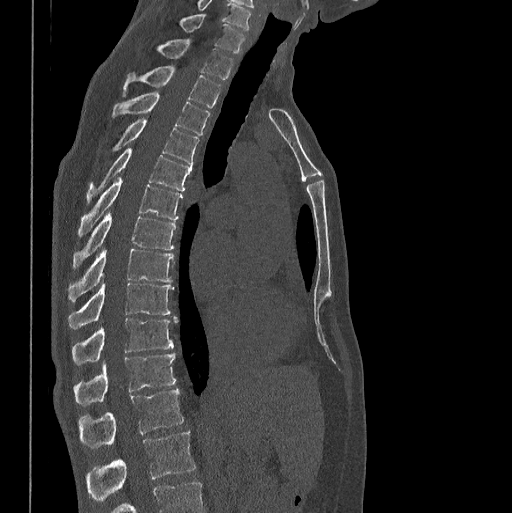
Computed tomography of the spine · sagittal view

The highest labeled vertebra in this scan is C7; the lowest is L1.
<vertebrae><v name="L1" x1="86" y1="432" x2="196" y2="500"/><v name="T12" x1="78" y1="388" x2="183" y2="447"/><v name="T11" x1="73" y1="353" x2="175" y2="405"/><v name="T10" x1="72" y1="318" x2="174" y2="364"/><v name="T9" x1="68" y1="280" x2="173" y2="329"/><v name="T8" x1="68" y1="247" x2="173" y2="301"/><v name="T7" x1="73" y1="212" x2="175" y2="268"/><v name="T6" x1="78" y1="176" x2="182" y2="235"/><v name="T5" x1="86" y1="147" x2="192" y2="202"/><v name="T4" x1="114" y1="118" x2="198" y2="165"/><v name="T3" x1="113" y1="93" x2="210" y2="134"/><v name="T2" x1="123" y1="65" x2="220" y2="108"/><v name="T1" x1="158" y1="39" x2="233" y2="80"/><v name="C7" x1="180" y1="14" x2="243" y2="52"/></vertebrae>